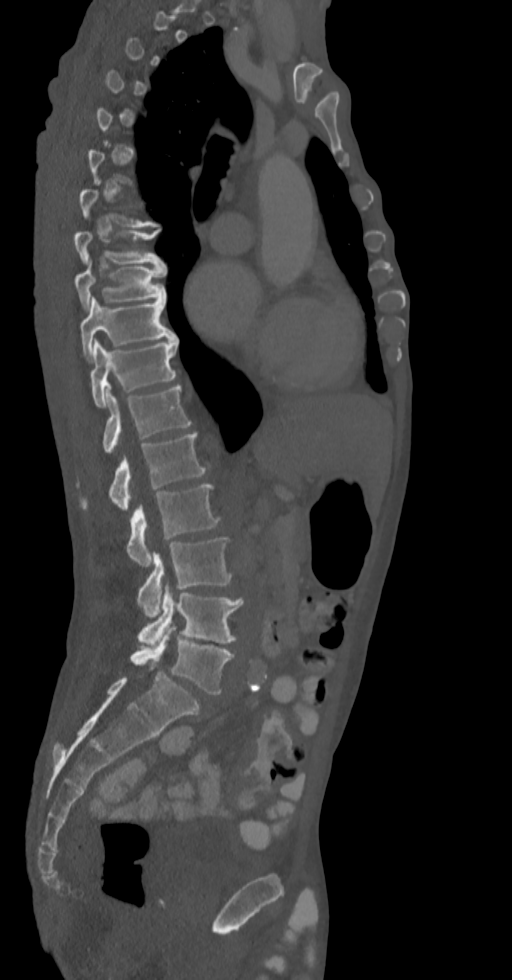
Computed tomography of the spine · sagittal view · 512x980 px

Each box given as x1,y1,x2,y2. Each vertebra is boxed only on the slices from the first to the last where its cross-section reaches a third of its largest, so a slice outside that range leaves it unboxed. 10 vertebrae labeled — T8 at x1=74, y1=229, x2=163, y2=266; T9 at x1=74, y1=261, x2=166, y2=310; T10 at x1=80, y1=296, x2=175, y2=359; T11 at x1=90, y1=338, x2=179, y2=407; T12 at x1=102, y1=386, x2=191, y2=453; L1 at x1=80, y1=431, x2=206, y2=509; L2 at x1=126, y1=485, x2=221, y2=566; L3 at x1=137, y1=538, x2=232, y2=618; L4 at x1=137, y1=584, x2=243, y2=647; L5 at x1=131, y1=625, x2=233, y2=694.